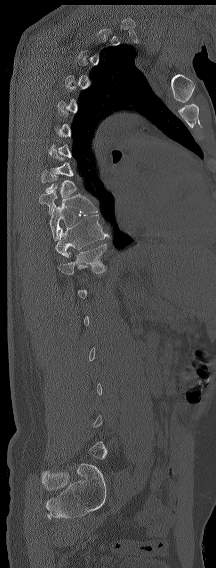 Spine CT — sagittal reformat — W/L 1800/400 HU — 216x568 px
Coordinates as <box>x1,y1,x2,y2</box>.
A vertebra is boxed only from the first to the last slice where its cross-section is at least a third of its largest; slices outside that range leave it without a box.
T9: <box>39,190,98,216</box>
T10: <box>50,205,76,240</box>
T11: <box>55,214,109,257</box>
T12: <box>56,243,107,274</box>